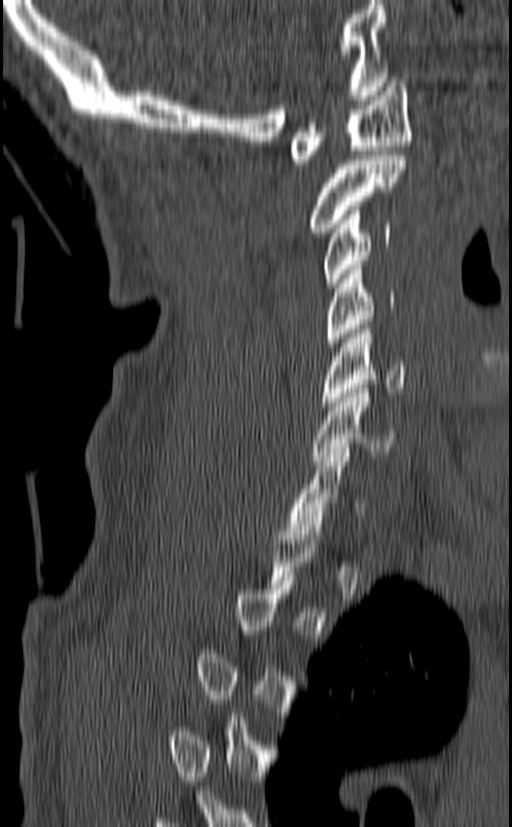
Spine computed tomography. sagittal view
Boxes below are [x1, y1, x2, y2] in pixels.
Each vertebra is boxed only on the slices from the first to the last where its cross-section reaches a third of its largest, so a slice outside that range leaves it unboxed.
{"vertebrae":{"C1":[290,78,412,168],"C2":[309,155,406,232],"C3":[324,206,391,287],"C4":[323,265,395,346],"C5":[320,325,406,406],"C6":[312,384,395,461],"C7":[287,448,364,534]}}